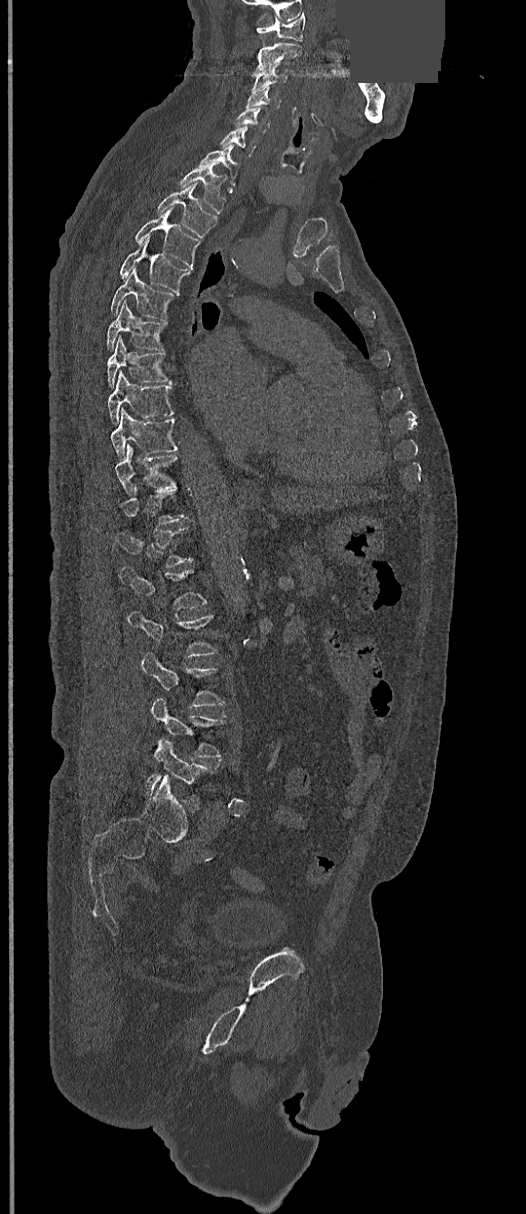

Computed tomography of the spine · sagittal reformat · bone-window reconstruction · part of the image is a flat gray fill, not anatomy
Bounding boxes as [x1, y1, x2, y2] in pixel coordinates.
Not every vertebra on this slice has a box: a vertebra is boxed only from the first to the last slice where its cross-section is at least a third of its largest, and this slice is outside that range for at least one of them.
C1: [256, 13, 306, 40]
C2: [252, 43, 302, 75]
C3: [253, 64, 289, 88]
C4: [246, 87, 280, 109]
C5: [234, 106, 271, 133]
C6: [220, 126, 257, 156]
C7: [198, 144, 240, 188]
T1: [179, 167, 225, 212]
T2: [157, 184, 218, 238]
T3: [135, 208, 201, 268]
T4: [118, 239, 190, 292]
T5: [110, 268, 178, 320]
T6: [106, 301, 166, 350]
T7: [107, 336, 170, 388]
T8: [109, 370, 175, 422]
T9: [111, 409, 178, 458]
T10: [115, 446, 178, 493]
T12: [115, 527, 193, 566]
L1: [120, 567, 207, 610]
L2: [127, 611, 218, 658]
L3: [142, 651, 225, 708]
L4: [149, 697, 225, 758]
L5: [144, 740, 212, 800]